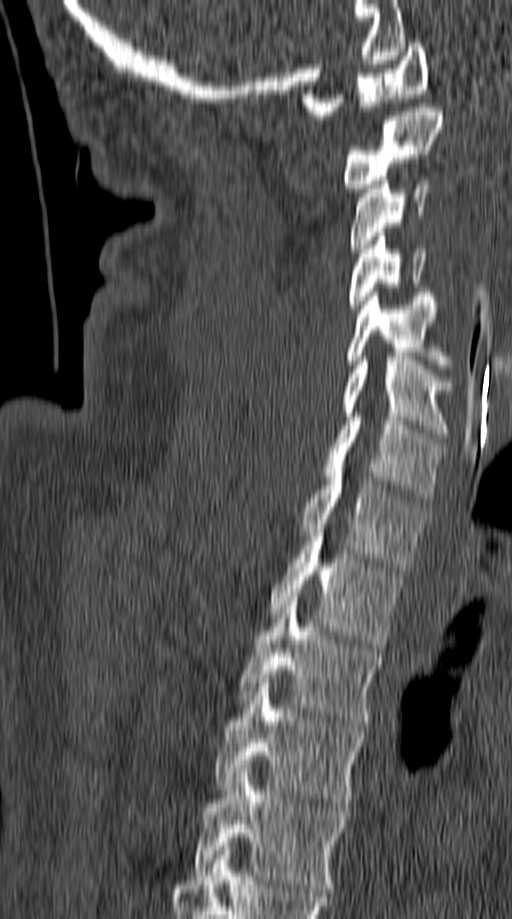
CT, spine; sagittal view; bone window; 512x919 px; 149 mm image width. Bounding boxes as [x1, y1, x2, y2] in pixel coordinates.
Vertebra bounding boxes:
- C1: [302, 43, 429, 119]
- C2: [341, 103, 443, 192]
- C3: [348, 180, 431, 252]
- C4: [348, 232, 426, 313]
- C5: [347, 292, 450, 368]
- C6: [341, 357, 455, 437]
- C7: [324, 412, 444, 502]
- T1: [298, 468, 426, 570]
- T2: [269, 533, 402, 648]
- T3: [238, 597, 382, 725]
- T4: [214, 683, 364, 807]
- T5: [191, 769, 347, 892]